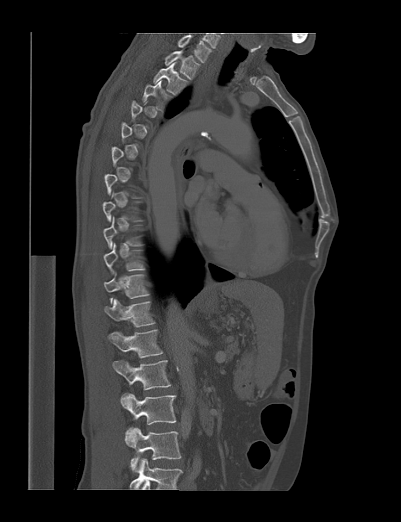

Computed tomography of the spine — sagittal view — Bone window (WL 400, WW 1800)
A vertebra gets a box only on the slices from the first to the last where its cross-section is at least a third of its largest; on a slice outside that range it gets none.
This scan's labels start at T1 at the top and end at L4 at the bottom.
<vertebrae><v name="T1" x1="165" y1="50" x2="200" y2="79"/><v name="T2" x1="153" y1="61" x2="188" y2="95"/><v name="T11" x1="104" y1="272" x2="148" y2="302"/><v name="T12" x1="104" y1="299" x2="155" y2="327"/><v name="L1" x1="109" y1="329" x2="162" y2="372"/><v name="L2" x1="112" y1="360" x2="170" y2="405"/><v name="L3" x1="121" y1="393" x2="176" y2="436"/><v name="L4" x1="125" y1="427" x2="180" y2="471"/></vertebrae>